Spine CT — sagittal view — Bone window (WL 400, WW 1800) — 210x292 px
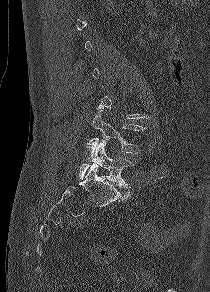
Coordinates as <box>x1,y1,x2,y2</box>. Not every vertebra on this slice has a box: a vertebra is boxed only from the first to the last slice where its cross-section is at least a third of its largest, and this slice is outside that range for at least one of them. The labeled vertebrae in this slice are: L4 at <box>87,110,146,153</box>, L5 at <box>79,140,133,188</box>.